Spine computed tomography. sagittal plane, index 52. the image spans 179 mm across. Bone window (WL 400, WW 1800). 19 vertebrae labeled in this scan
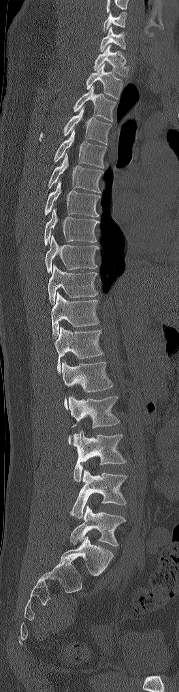
Boxes: x1 y1 x2 y2 (pixel coords, space-separated). Labels in this scan begin with C6 at the top and end with L5 at the bottom. The labeled vertebrae in this slice are: L5 at 70 505 125 546, L4 at 69 470 127 518, L3 at 73 429 126 482, L2 at 68 395 119 443, L1 at 62 361 113 409, T12 at 54 326 103 372, T11 at 51 292 99 338, T10 at 48 264 98 303, T9 at 45 235 99 272, T8 at 44 208 97 245, T7 at 44 181 98 216, T6 at 48 154 100 192, T5 at 53 130 106 167, T4 at 39 107 111 144, T3 at 73 86 116 121, T2 at 57 64 122 99, T1 at 93 45 127 76, C7 at 100 27 125 51, C6 at 103 11 126 31.